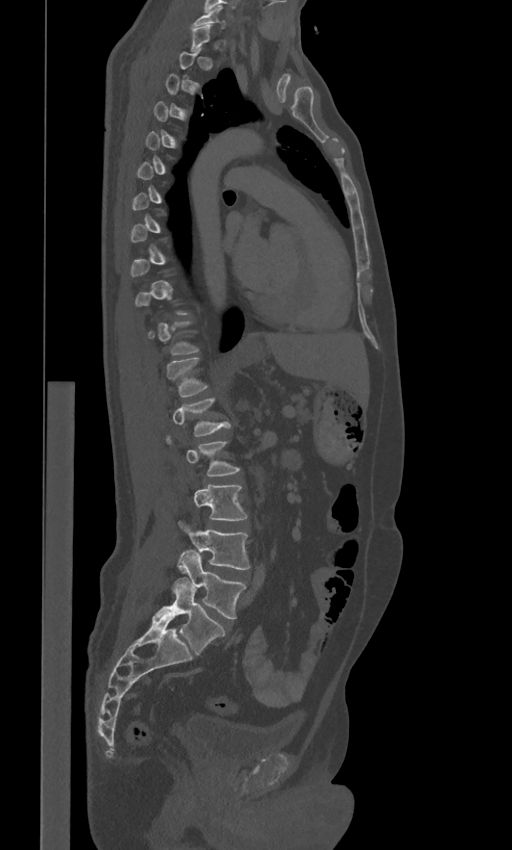 Spine computed tomography; sagittal view
Box edges are left/top/right/bottom in pixels.
Each vertebra is boxed only on the slices from the first to the last where its cross-section reaches a third of its largest, so a slice outside that range leaves it unboxed.
The labels name a sixth lumbar vertebra for this spine: L6, after L5.
C7: left=192, top=6, right=225, bottom=28
T12: left=166, top=358, right=208, bottom=397
L1: left=172, top=398, right=230, bottom=436
L2: left=166, top=436, right=239, bottom=475
L3: left=193, top=485, right=247, bottom=520
L4: left=178, top=520, right=250, bottom=569
L5: left=175, top=551, right=245, bottom=619
L6: left=156, top=577, right=225, bottom=655